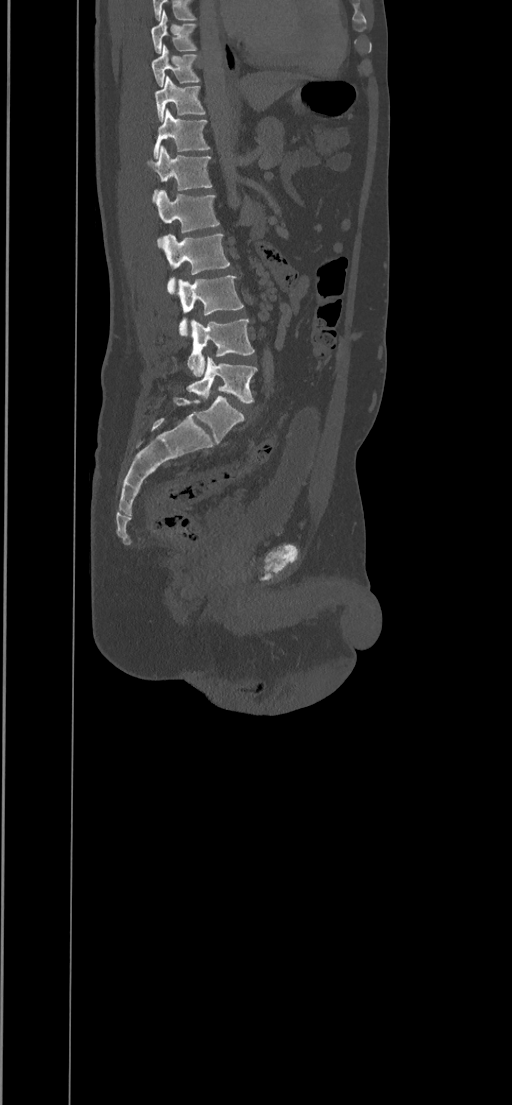 Computed tomography of the spine. sagittal view. 512x1105 px. 434 mm wide
In the table, x1 and y1 are a box's top-left corner and x2 and y2 its bottom-right corner, in pixels.
| vertebra | x1 | y1 | x2 | y2 |
|---|---|---|---|---|
| T8 | 151 | 10 | 197 | 53 |
| T9 | 151 | 45 | 199 | 87 |
| T10 | 154 | 75 | 205 | 120 |
| T11 | 153 | 108 | 210 | 157 |
| T12 | 146 | 147 | 211 | 201 |
| L1 | 157 | 190 | 220 | 233 |
| L2 | 157 | 234 | 229 | 294 |
| L3 | 177 | 275 | 243 | 336 |
| L4 | 187 | 319 | 254 | 377 |
| L5 | 187 | 357 | 256 | 402 |